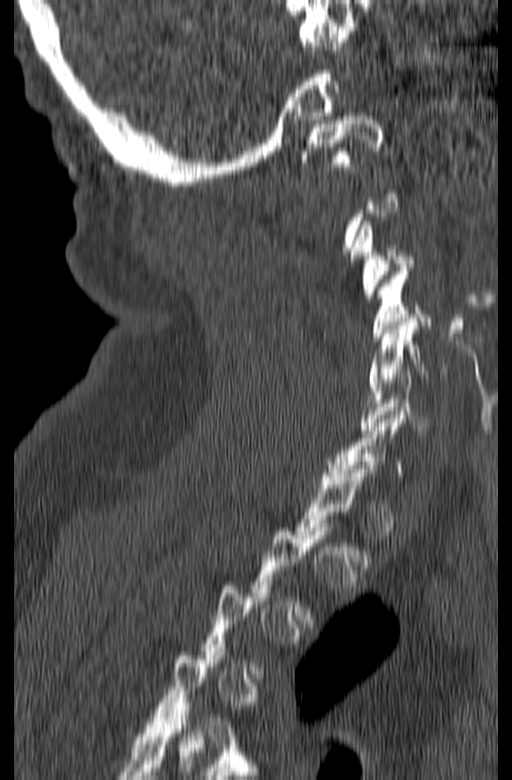 CT spine. sagittal view
Not every vertebra on this slice has a box: a vertebra is boxed only from the first to the last slice where its cross-section is at least a third of its largest, and this slice is outside that range for at least one of them.
<vertebrae><v name="C1" x1="302" y1="112" x2="383" y2="170"/><v name="C3" x1="351" y1="221" x2="413" y2="302"/><v name="C4" x1="373" y1="268" x2="431" y2="340"/><v name="C5" x1="367" y1="318" x2="447" y2="387"/><v name="C6" x1="359" y1="368" x2="437" y2="433"/></vertebrae>